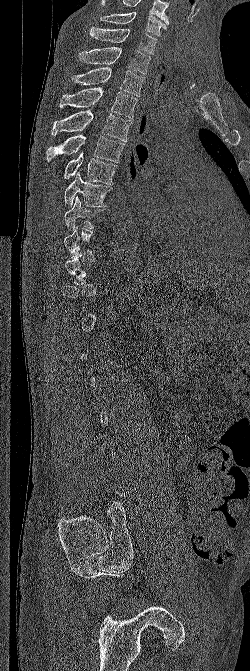 CT — sagittal view — image width 250 mm — W/L 1800/400 HU
Boxes: x1 y1 x2 y2 (pixel coords, space-separated).
Not every vertebra on this slice has a box: a vertebra is boxed only from the first to the last slice where its cross-section is at least a third of its largest, and this slice is outside that range for at least one of them.
In this scan, the topmost labeled vertebra is C6 and the lowest is L5.
C6: 100 11 166 36
C7: 89 27 157 54
T1: 78 47 150 74
T2: 71 67 144 96
T3: 60 87 137 118
T4: 51 109 132 141
T5: 46 135 125 162
T6: 62 151 117 184
T7: 64 172 112 206
T8: 64 196 106 231